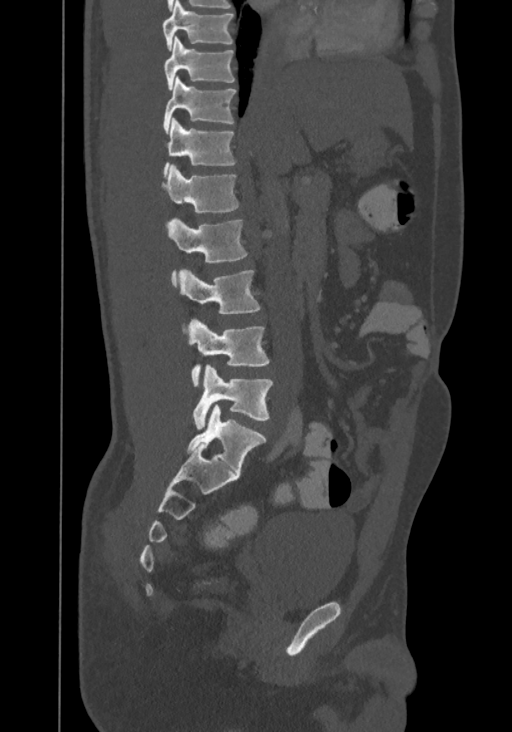
CT · sagittal reformat · Bone window (WL 400, WW 1800) · 512x732 px · 367 mm across the image
Boxes below are [x1, y1, x2, y2] in pixels.
This scan's labels start at T8 at the top and end at L4 at the bottom.
{"vertebrae":{"L4":[192,364,272,430],"L3":[187,319,269,387],"L2":[178,269,260,330],"L1":[166,217,247,284],"T12":[162,164,239,212],"T11":[163,118,235,175],"T10":[163,77,236,132],"T9":[164,36,235,89],"T8":[162,0,233,50]}}